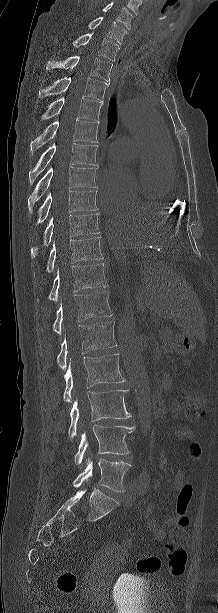
CT; sagittal view; bone-window reconstruction

Coordinates as <box>x1,y1,x2,y2</box>. Labels in this scan begin with C7 at the top and end with L5 at the bottom. 18 vertebrae labeled — L5 at <box>73,458,131,491</box>; L4 at <box>74,425,135,464</box>; L3 at <box>68,390,131,439</box>; L2 at <box>63,353,125,402</box>; L1 at <box>57,321,116,371</box>; T12 at <box>53,291,111,334</box>; T11 at <box>37,263,106,301</box>; T10 at <box>46,235,102,272</box>; T9 at <box>31,213,99,258</box>; T8 at <box>37,190,97,223</box>; T7 at <box>28,166,96,213</box>; T6 at <box>29,143,98,184</box>; T5 at <box>30,119,99,155</box>; T4 at <box>40,97,103,120</box>; T3 at <box>38,77,109,100</box>; T2 at <box>46,56,112,81</box>; T1 at <box>72,32,119,60</box>; C7 at <box>88,17,126,43</box>.